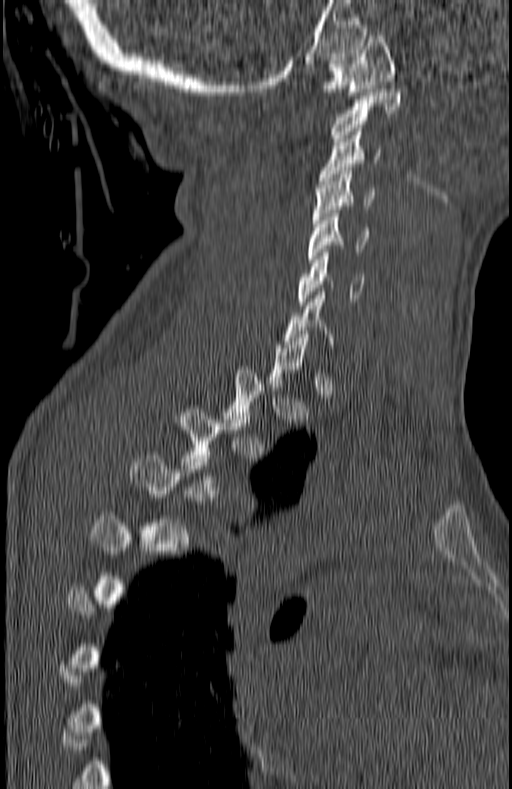

Spine computed tomography — sagittal reformat — 512x789 px
A vertebra is boxed only from the first to the last slice where its cross-section is at least a third of its largest; slices outside that range leave it without a box.
<vertebrae><v name="T4" x1="132" y1="455" x2="239" y2="547"/><v name="T3" x1="169" y1="409" x2="253" y2="497"/><v name="C7" x1="285" y1="292" x2="333" y2="355"/><v name="C6" x1="297" y1="252" x2="364" y2="305"/><v name="C5" x1="308" y1="210" x2="367" y2="262"/><v name="C4" x1="314" y1="171" x2="373" y2="223"/><v name="C3" x1="319" y1="128" x2="381" y2="184"/><v name="C2" x1="331" y1="89" x2="401" y2="141"/><v name="C1" x1="322" y1="36" x2="395" y2="95"/></vertebrae>